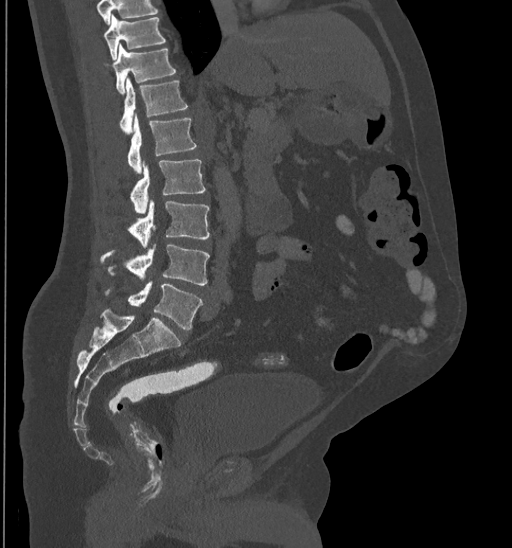
Computed tomography of the spine; sagittal view
Coordinates as <box>x1,y1,x2,y2</box>.
Where the top of the scan cuts through a vertebra, that vertebra gets no label or box.
Vertebra bounding boxes:
- T10: <box>103,15,166,59</box>
- T11: <box>106,43,175,93</box>
- T12: <box>119,77,187,134</box>
- L1: <box>127,115,197,174</box>
- L2: <box>131,159,205,214</box>
- L3: <box>128,199,210,248</box>
- L4: <box>100,244,210,285</box>
- L5: <box>105,281,203,330</box>